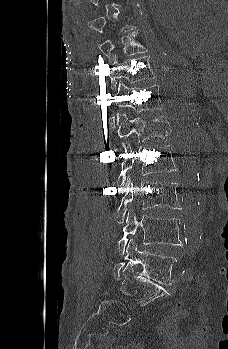

CT. sagittal view. the image is 228 mm wide
Each row gives a vertebra's box as x1, y1, x2, y2 in pixels: top-left corner, then bottom-right corner.
Each vertebra is boxed only on the slices from the first to the last where its cross-section reaches a third of its largest, so a slice outside that range leaves it unboxed.
| vertebra | x1 | y1 | x2 | y2 |
|---|---|---|---|---|
| T10 | 98 | 30 | 147 | 63 |
| T11 | 109 | 55 | 155 | 93 |
| T12 | 108 | 81 | 163 | 128 |
| L1 | 116 | 111 | 171 | 143 |
| L2 | 115 | 143 | 178 | 185 |
| L3 | 116 | 175 | 182 | 222 |
| L4 | 117 | 209 | 183 | 254 |
| L5 | 113 | 239 | 177 | 285 |